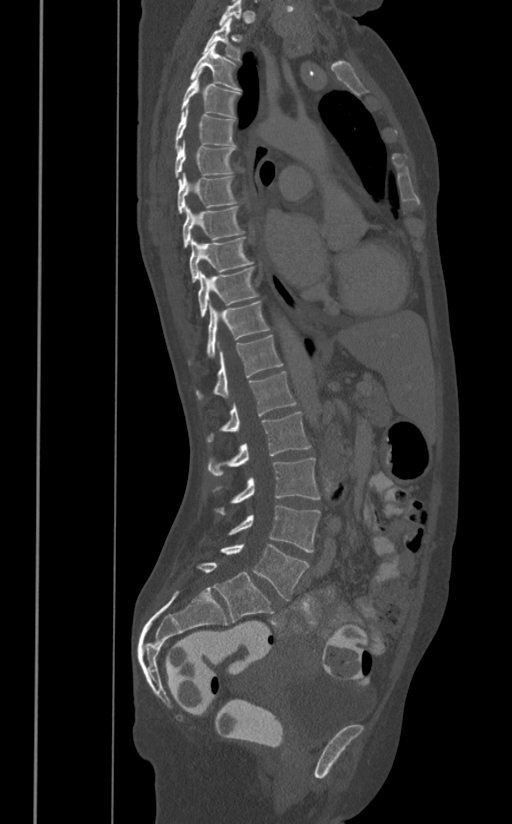 Spine CT — sagittal view — bone-window reconstruction — 512x824 px. Boxes: x1:y1:x2:y2 in pixels.
T1: 219:0:241:26
T2: 203:18:240:60
T3: 190:44:240:90
T4: 181:70:240:117
T5: 174:105:235:149
T6: 174:140:235:177
T7: 177:173:236:215
T8: 182:206:244:246
T9: 188:237:253:282
T10: 198:268:257:316
T11: 207:302:270:356
T12: 196:336:283:399
L1: 207:371:296:442
L2: 208:411:310:476
L3: 216:457:320:514
L4: 229:506:320:552
L5: 221:543:309:600